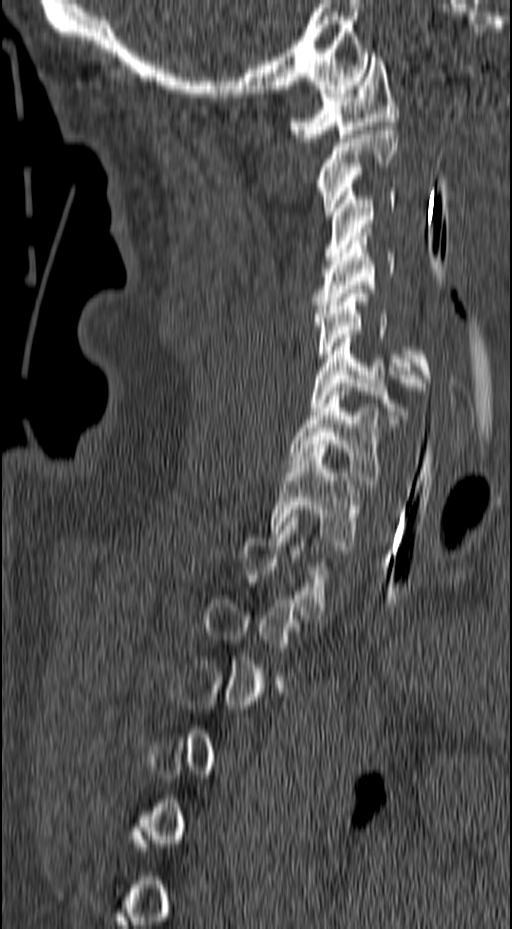
Spine computed tomography · sagittal view
Boxes are given in columns x1, y1, x2, y2, the pixel coordinates of their top-left and bottom-right corners.
A vertebra gets a box only on the slices from the first to the last where its cross-section is at least a third of its largest; on a slice outside that range it gets none.
| vertebra | x1 | y1 | x2 | y2 |
|---|---|---|---|---|
| C1 | 290 | 57 | 398 | 142 |
| C2 | 314 | 126 | 398 | 215 |
| C3 | 324 | 188 | 395 | 260 |
| C4 | 311 | 232 | 395 | 309 |
| C5 | 313 | 289 | 431 | 386 |
| C6 | 311 | 334 | 425 | 423 |
| C7 | 288 | 387 | 388 | 484 |
| T1 | 269 | 448 | 361 | 549 |